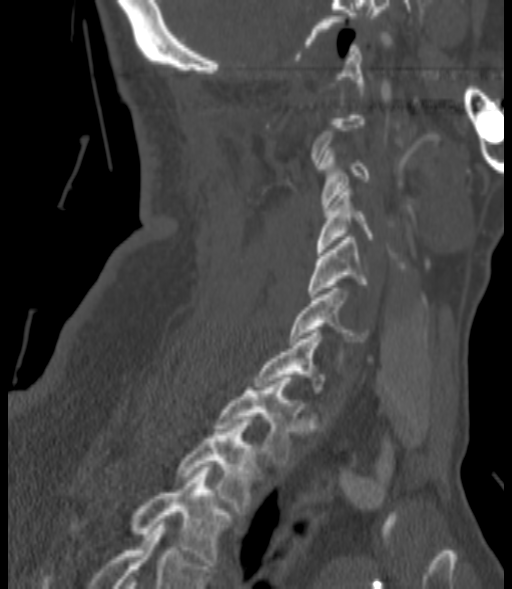
CT, spine; sagittal view; the image is 200 mm wide

Coordinates as <box>x1,y1,x2,y2</box>.
Not every vertebra on this slice has a box: a vertebra is boxed only from the first to the last slice where its cross-section is at least a third of its largest, and this slice is outside that range for at least one of them.
Vertebra bounding boxes:
- C3: <box>318,147,368,210</box>
- C4: <box>316,186,374,252</box>
- C5: <box>308,237,368,297</box>
- C6: <box>290,288,368,341</box>
- C7: <box>254,330,325,393</box>
- T1: <box>216,378,299,466</box>
- T2: <box>177,419,258,514</box>
- T3: <box>72,467,230,565</box>